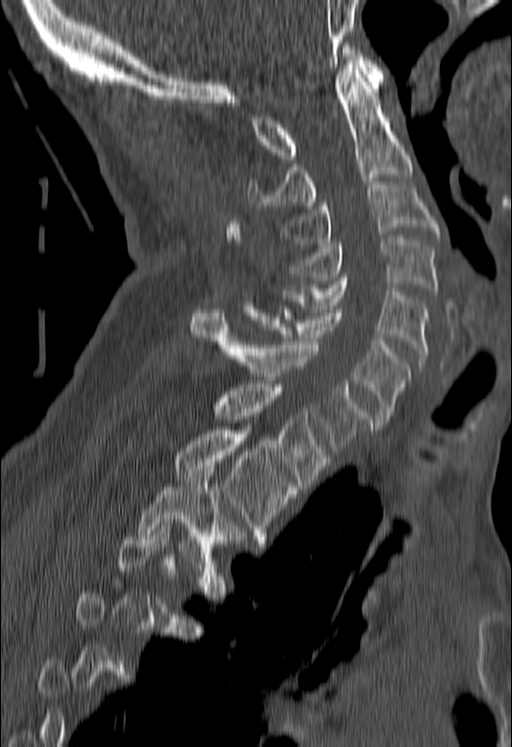

CT, spine; sagittal reformat; image 180 mm wide; W/L 1800/400 HU
Boxes are (x1, y1, x2, y2) in pixels.
A vertebra gets a box only on the slices from the first to the last where its cross-section is at least a third of its largest; on a slice outside that range it gets none.
Vertebra bounding boxes:
- C1: (253, 46, 384, 159)
- C2: (248, 64, 412, 209)
- C3: (283, 185, 438, 244)
- C4: (290, 238, 438, 294)
- C5: (283, 277, 429, 362)
- C6: (242, 302, 410, 422)
- C7: (191, 309, 372, 454)
- T1: (213, 384, 327, 486)
- T2: (173, 427, 293, 543)
- T3: (137, 466, 226, 564)